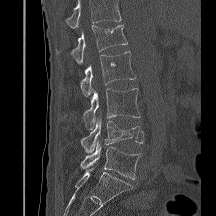
Spine CT. sagittal view

Each box given as x1,y1,x2,y2.
Where the top of the scan cuts through a vertebra, that vertebra gets no label or box.
L1: x1=71, y1=25, x2=127, y2=64
L2: x1=80, y1=51, x2=135, y2=97
L3: x1=83, y1=88, x2=140, y2=129
L4: x1=81, y1=116, x2=144, y2=153
L5: x1=80, y1=141, x2=140, y2=179